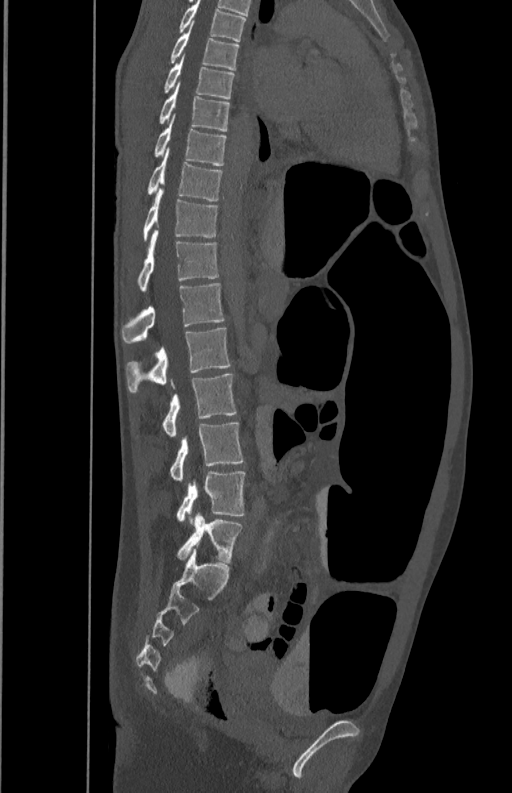
Spine CT · sagittal view · 512x793 px. Bounding boxes as [x1, y1, x2, y2] in pixel coordinates.
Vertebra bounding boxes:
- L5: [177, 471, 245, 520]
- L4: [169, 423, 243, 480]
- L3: [162, 373, 236, 436]
- L2: [126, 328, 230, 393]
- L1: [121, 283, 224, 343]
- T12: [137, 229, 218, 291]
- T11: [143, 188, 218, 240]
- T10: [148, 149, 223, 200]
- T9: [155, 118, 226, 165]
- T8: [159, 84, 230, 131]
- T7: [164, 57, 234, 98]
- T6: [171, 30, 239, 69]
- T5: [180, 1, 246, 41]